Spine computed tomography; sagittal plane, index 190; bone window; 512x1010 px
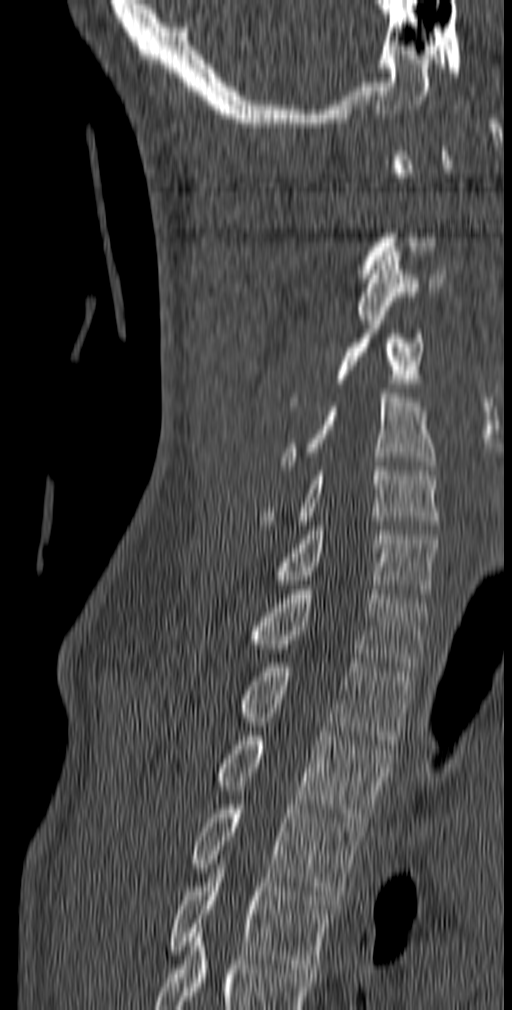

Boxes are given in columns x1, y1, x2, y2, the pixel coordinates of their top-left and bottom-right corners.
Each vertebra is boxed only on the slices from the first to the last where its cross-section reaches a third of its largest, so a slice outside that range leaves it unboxed.
| vertebra | x1 | y1 | x2 | y2 |
|---|---|---|---|---|
| C3 | 357 | 247 | 447 | 324 |
| C4 | 288 | 306 | 423 | 406 |
| C5 | 279 | 393 | 436 | 470 |
| C6 | 260 | 466 | 439 | 529 |
| C7 | 277 | 526 | 438 | 598 |
| T1 | 248 | 585 | 427 | 671 |
| T2 | 239 | 658 | 412 | 744 |
| T3 | 217 | 731 | 391 | 826 |
| T4 | 192 | 800 | 364 | 900 |
| T5 | 168 | 864 | 333 | 973 |